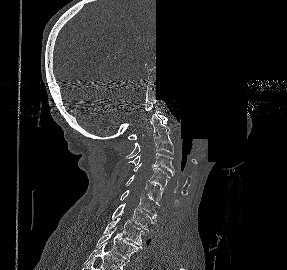

Spine CT; sagittal view; an area of the scan was removed and filled with constant pixels
Bounding boxes as [x1, y1, x2, y2] in pixel coordinates. The labeled vertebrae in this slice are: C1 at [128, 111, 167, 139], C2 at [125, 113, 173, 158], C3 at [128, 153, 174, 175], C4 at [133, 163, 170, 190], C5 at [125, 175, 164, 205], C6 at [120, 190, 159, 218], C7 at [112, 203, 156, 229], T1 at [103, 217, 146, 247], T2 at [95, 227, 142, 261].